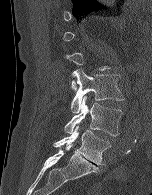 CT spine — 152 mm wide — sagittal reformat — bone-window reconstruction

Not every vertebra on this slice has a box: a vertebra is boxed only from the first to the last slice where its cross-section is at least a third of its largest, and this slice is outside that range for at least one of them.
<vertebrae><v name="L5" x1="53" y1="126" x2="111" y2="165"/><v name="L4" x1="64" y1="95" x2="122" y2="136"/><v name="L3" x1="71" y1="69" x2="124" y2="113"/></vertebrae>